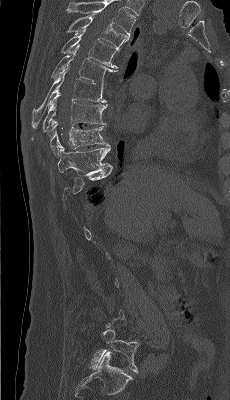 CT spine. sagittal view. 230x400 px. the image is 230 mm wide

Box edges are left/top/right/bottom in pixels.
Not every vertebra on this slice has a box: a vertebra is boxed only from the first to the last slice where its cross-section is at least a third of its largest, and this slice is outside that range for at least one of them.
In this scan, the topmost labeled vertebra is T4 and the lowest is L5.
T4: left=67, top=15, right=129, bottom=48
T5: left=61, top=29, right=120, bottom=68
T6: left=52, top=44, right=117, bottom=86
T7: left=32, top=68, right=106, bottom=129
T8: left=32, top=91, right=107, bottom=139
T9: left=49, top=120, right=109, bottom=156
T10: left=58, top=146, right=112, bottom=176
L5: left=89, top=328, right=140, bottom=372